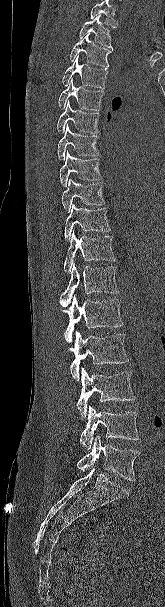
CT — sagittal view
Boxes are given in columns x1, y1, x2, y2, the pixel coordinates of their top-left and bottom-right corners.
Vertebrae that run past the top of the scan are left unlabeled.
| vertebra | x1 | y1 | x2 | y2 |
|---|---|---|---|---|
| T2 | 79 | 15 | 112 | 49 |
| T3 | 70 | 34 | 111 | 68 |
| T4 | 62 | 55 | 107 | 88 |
| T5 | 58 | 78 | 103 | 110 |
| T6 | 56 | 100 | 99 | 133 |
| T7 | 57 | 124 | 100 | 160 |
| T8 | 59 | 152 | 102 | 187 |
| T9 | 61 | 178 | 105 | 212 |
| T10 | 64 | 204 | 111 | 241 |
| T11 | 63 | 230 | 115 | 273 |
| T12 | 59 | 262 | 119 | 307 |
| L1 | 63 | 295 | 123 | 342 |
| L2 | 69 | 331 | 129 | 381 |
| L3 | 76 | 367 | 135 | 418 |
| L4 | 79 | 406 | 139 | 450 |
| L5 | 76 | 435 | 139 | 481 |